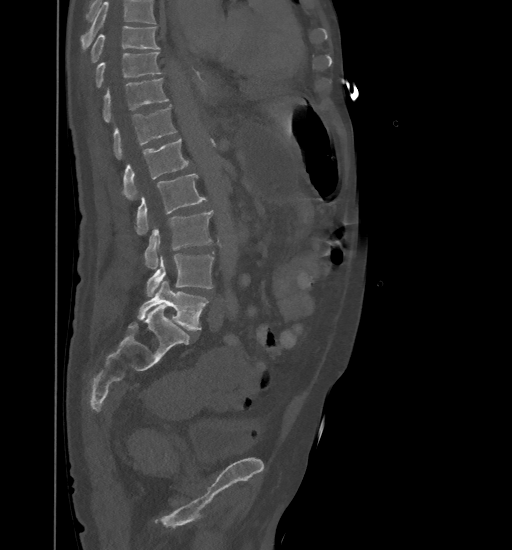 Spine CT; sagittal view; W/L 1800/400 HU

Each row gives a vertebra's box as x1, y1, x2, y2 in pixels: top-left corner, then bottom-right corner.
A vertebra cut off by the top edge of the scan is not labeled and has no box.
| vertebra | x1 | y1 | x2 | y2 |
|---|---|---|---|---|
| T9 | 90 | 26 | 159 | 64 |
| T10 | 95 | 52 | 161 | 88 |
| T11 | 103 | 78 | 168 | 122 |
| T12 | 113 | 106 | 177 | 159 |
| L1 | 122 | 138 | 189 | 199 |
| L2 | 134 | 173 | 206 | 234 |
| L3 | 144 | 210 | 213 | 268 |
| L4 | 146 | 253 | 214 | 296 |
| L5 | 137 | 281 | 208 | 330 |